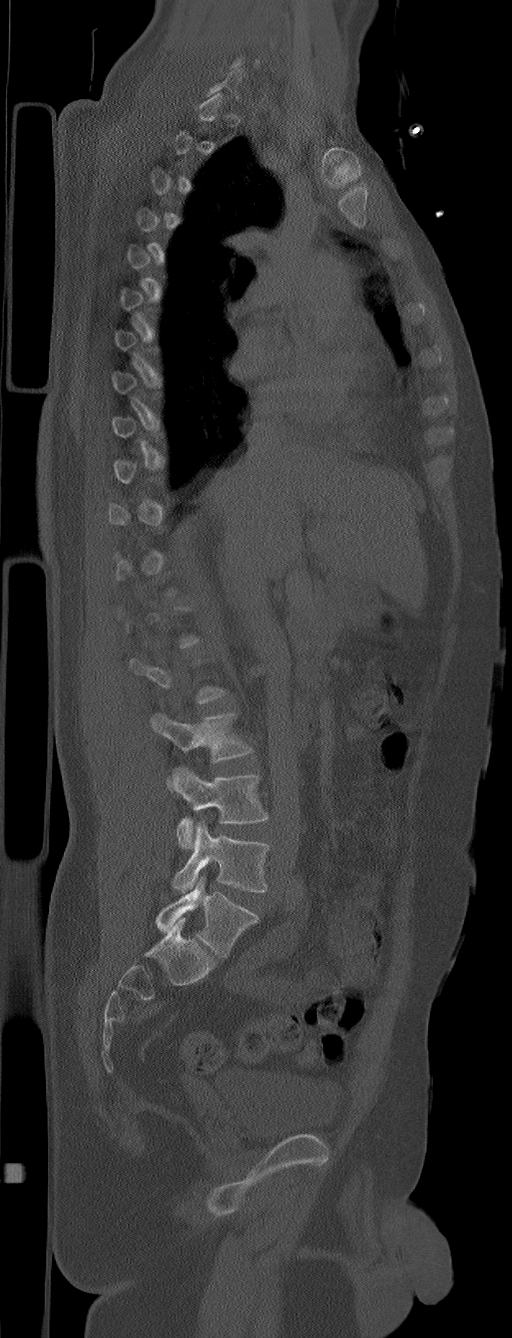
Spine computed tomography; sagittal view; 305 mm image width
Boxes below are [x1, y1, x2, y2] in pixels.
A vertebra gets a box only on the slices from the first to the last where its cross-section is at least a third of its largest; on a slice outside that range it gets none.
In these labels the spine has an L6, a sixth lumbar vertebra below L5.
{"vertebrae":{"L6":[156,876,258,957],"L5":[172,821,270,892],"L4":[172,766,268,849],"L3":[150,712,253,762]}}